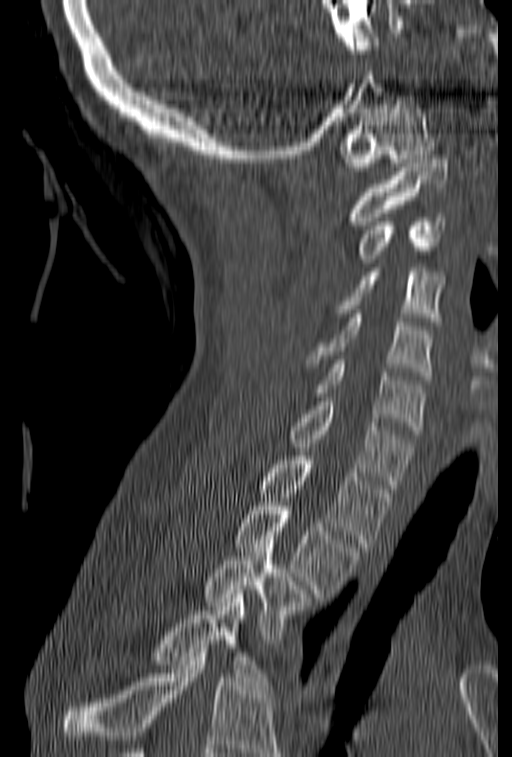
CT, spine · sagittal reformat · the image is 153 mm wide
Boxes are given in columns x1, y1, x2, y2, the pixel coordinates of their top-left and bottom-right corners.
No box is given to a vertebra that the bottom edge of the scan cuts off.
| vertebra | x1 | y1 | x2 | y2 |
|---|---|---|---|---|
| T4 | 155 | 590 | 274 | 693 |
| T3 | 205 | 540 | 308 | 643 |
| T2 | 235 | 502 | 358 | 593 |
| T1 | 261 | 452 | 392 | 547 |
| C7 | 289 | 397 | 412 | 488 |
| C6 | 313 | 360 | 425 | 434 |
| C5 | 307 | 314 | 433 | 380 |
| C4 | 336 | 268 | 442 | 321 |
| C3 | 359 | 213 | 445 | 263 |
| C2 | 349 | 155 | 449 | 225 |
| C1 | 340 | 100 | 434 | 171 |